CT — sagittal view — bone-window reconstruction — scan covers 15 annotated vertebrae
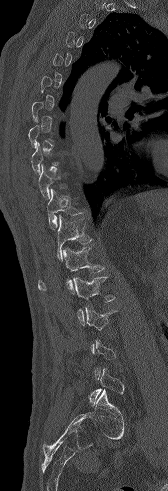 Boxes below are [x1, y1, x2, y2] in pixels.
A vertebra gets a box only on the slices from the first to the last where its cross-section is at least a third of its largest; on a slice outside that range it gets none.
{"vertebrae":{"T11":[47,189,82,229],"T12":[57,215,92,261],"L1":[38,247,104,293],"L2":[73,277,114,325]}}